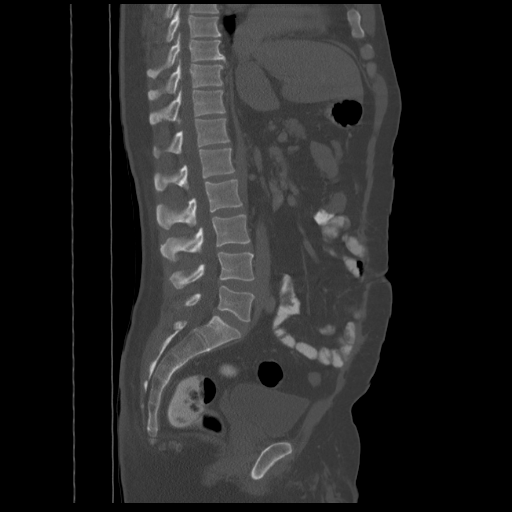
Spine computed tomography — sagittal view — Bone window (WL 400, WW 1800) — 512x512 px — 548 mm image width. Box edges are left/top/right/bottom in pixels.
| vertebra | x1 | y1 | x2 | y2 |
|---|---|---|---|---|
| T8 | 165 | 8 | 220 | 41 |
| T9 | 147 | 33 | 225 | 77 |
| T10 | 148 | 59 | 222 | 99 |
| T11 | 149 | 89 | 225 | 124 |
| T12 | 153 | 118 | 229 | 157 |
| L1 | 154 | 148 | 234 | 191 |
| L2 | 156 | 179 | 242 | 228 |
| L3 | 160 | 214 | 249 | 261 |
| L4 | 169 | 251 | 254 | 288 |
| L5 | 183 | 286 | 254 | 321 |